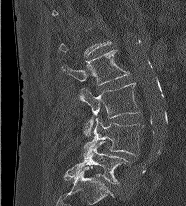 CT; sagittal view; W/L 1800/400 HU; 186x206 px. Boxes are given in columns x1, y1, x2, y2, the pixel coordinates of their top-left and bottom-right corners.
Each vertebra is boxed only on the slices from the first to the last where its cross-section reaches a third of its largest, so a slice outside that range leaves it unboxed.
| vertebra | x1 | y1 | x2 | y2 |
|---|---|---|---|---|
| L2 | 61 | 50 | 129 | 85 |
| L3 | 77 | 83 | 140 | 135 |
| L4 | 83 | 118 | 144 | 158 |
| L5 | 64 | 141 | 130 | 184 |